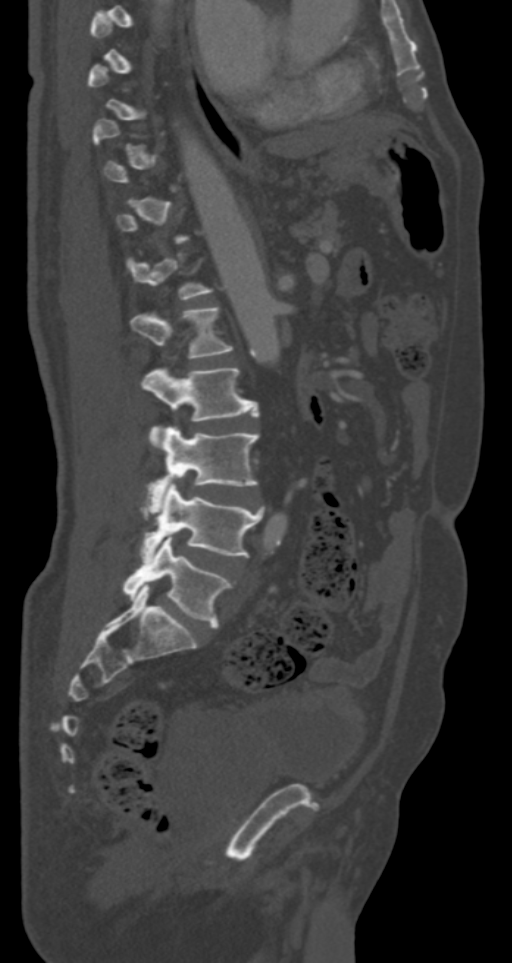

CT spine; sagittal view; bone window; 512x963 px. Box edges are left/top/right/bottom in pixels.
Each vertebra is boxed only on the slices from the first to the last where its cross-section reaches a third of its largest, so a slice outside that range leaves it unboxed.
L1: left=132, top=306, right=232, bottom=357
L2: left=141, top=367, right=259, bottom=440
L3: left=148, top=426, right=259, bottom=502
L4: left=141, top=483, right=264, bottom=561
L5: left=123, top=534, right=231, bottom=627